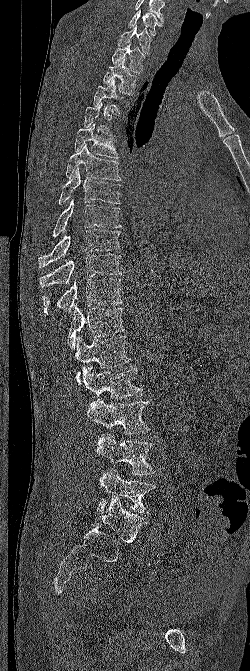
CT · sagittal view · bone window · 250 mm image width

Box edges are left/top/right/bottom in pixels.
Each vertebra is boxed only on the slices from the first to the last where its cross-section reaches a third of its largest, so a slice outside that range leaves it unboxed.
In this scan, the topmost labeled vertebra is C6 and the lowest is L5.
Vertebra bounding boxes:
- L5: left=97, top=468, right=155, bottom=514
- L4: left=96, top=433, right=155, bottom=475
- L3: left=87, top=398, right=150, bottom=434
- L2: left=81, top=365, right=142, bottom=399
- L1: left=75, top=335, right=130, bottom=384
- T12: left=67, top=305, right=125, bottom=349
- T11: left=42, top=278, right=122, bottom=314
- T10: left=39, top=253, right=121, bottom=287
- T9: left=38, top=229, right=121, bottom=267
- T8: left=52, top=199, right=121, bottom=237
- T7: left=58, top=167, right=120, bottom=204
- T6: left=65, top=144, right=121, bottom=181
- T5: left=74, top=123, right=118, bottom=158
- T3: left=93, top=79, right=125, bottom=114
- T2: left=103, top=59, right=136, bottom=94
- T1: left=111, top=42, right=144, bottom=73
- C7: left=118, top=25, right=151, bottom=54
- C6: left=128, top=10, right=162, bottom=35